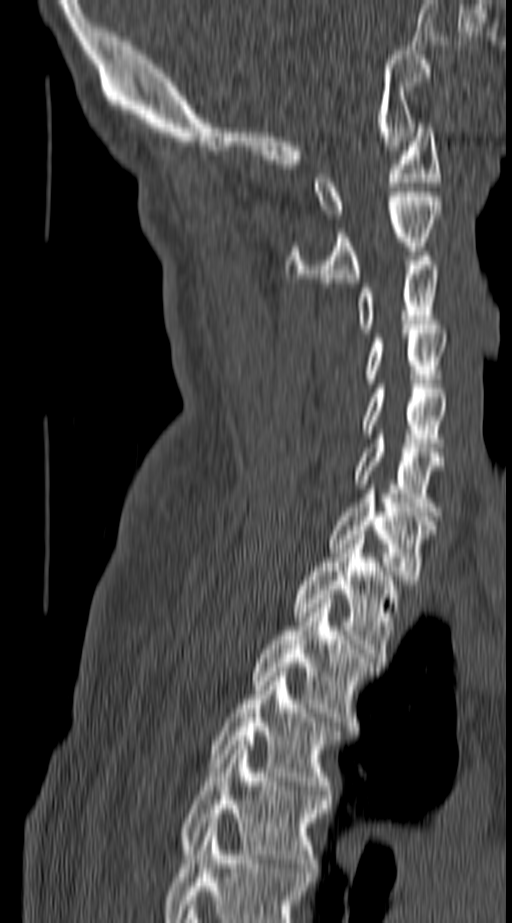

Spine CT — sagittal view — Bone window (WL 400, WW 1800)
Boxes below are [x1, y1, x2, y2] in pixels.
This scan's labels start at C1 at the top and end at T4 at the bottom.
{"vertebrae":{"T4":[181,741,329,872],"T3":[210,672,337,794],"T2":[254,599,377,726],"T1":[294,535,396,657],"C7":[330,489,436,584],"C6":[356,434,444,511],"C5":[363,384,447,452],"C4":[367,329,447,383],"C3":[360,256,440,333],"C2":[287,192,440,282],"C1":[316,123,439,218]}}